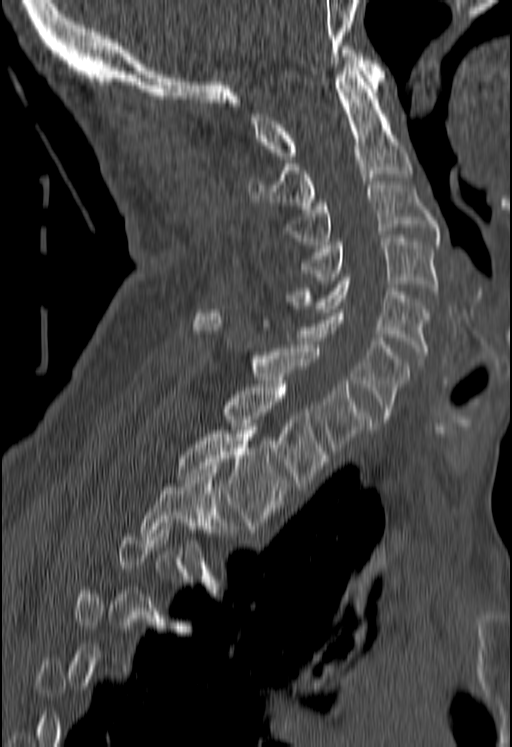 Computed tomography of the spine · sagittal view · 180 mm across the image · Bone window (WL 400, WW 1800)
Bounding boxes as [x1, y1, x2, y2] in pixel coordinates.
Not every vertebra on this slice has a box: a vertebra is boxed only from the first to the last slice where its cross-section is at least a third of its largest, and this slice is outside that range for at least one of them.
C1: [250, 46, 384, 159]
C2: [248, 64, 412, 209]
C3: [285, 181, 438, 244]
C4: [300, 238, 438, 294]
C5: [287, 277, 429, 358]
C6: [260, 309, 410, 422]
C7: [194, 309, 371, 454]
T1: [222, 384, 327, 486]
T2: [177, 427, 287, 525]